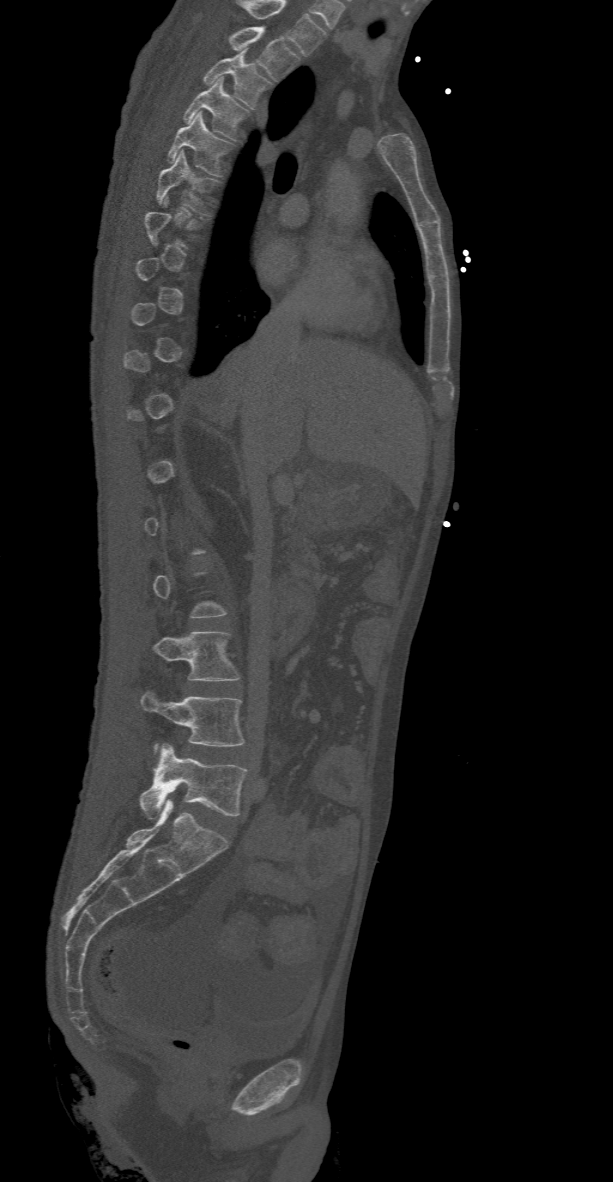 CT spine. sagittal view. Boxes are (x1, y1, x2, y2) in pixels.
Each vertebra is boxed only on the slices from the first to the last where its cross-section reaches a third of its largest, so a slice outside that range leaves it unboxed.
In this scan, the topmost labeled vertebra is T2 and the lowest is L5.
Vertebra bounding boxes:
- T2: (228, 26, 300, 80)
- T3: (201, 51, 272, 108)
- T4: (183, 77, 251, 140)
- T5: (167, 111, 233, 176)
- T6: (155, 151, 218, 215)
- L3: (153, 632, 241, 680)
- L4: (140, 691, 246, 755)
- L5: (140, 744, 247, 817)